CT spine — Sagittal slice 259/512 — 714x983 px — the image spans 500 mm across
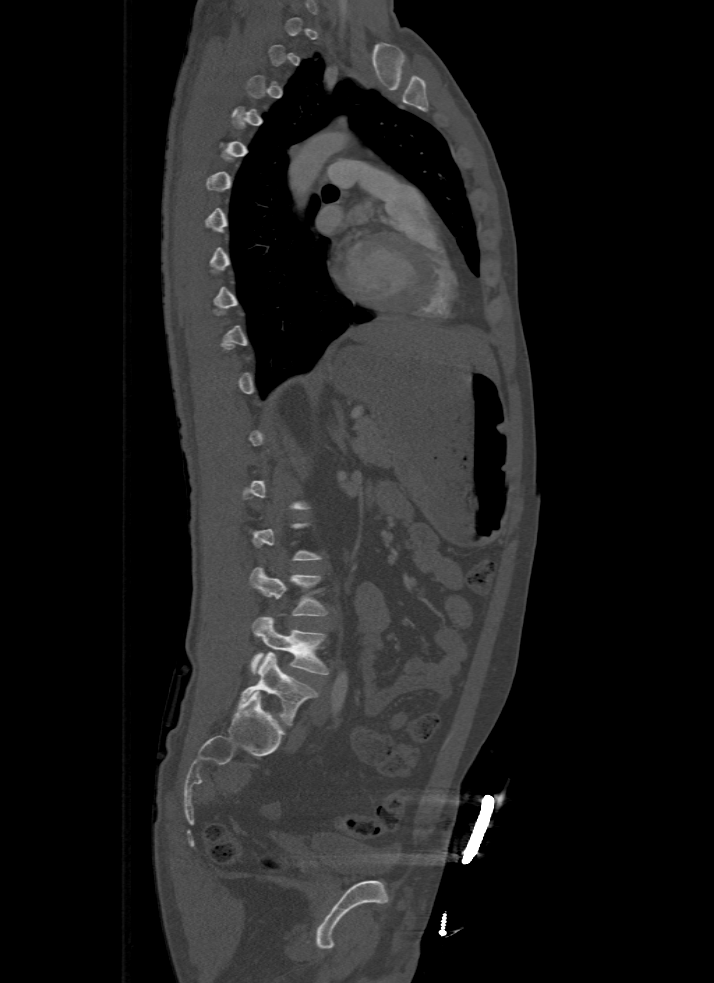
Box edges are left/top/right/bottom in pixels. A vertebra gets a box only on the slices from the first to the last where its cross-section is at least a third of its largest; on a slice outside that range it gets none. 3 vertebrae labeled — L5 at left=239, top=652, right=317, bottom=725; L4 at left=250, top=616, right=330, bottom=674; L3 at left=250, top=566, right=328, bottom=615.